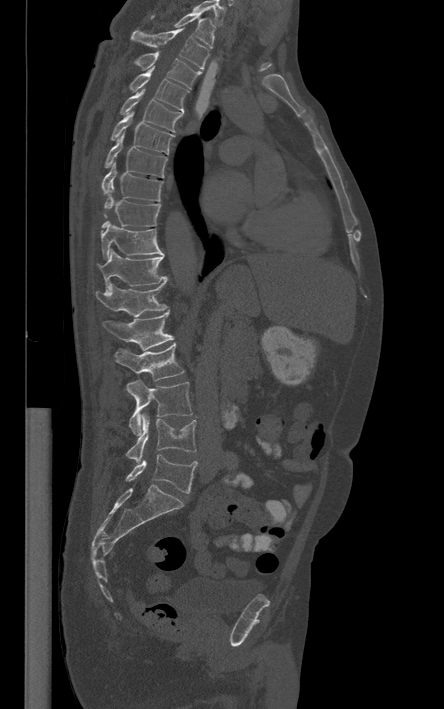
Computed tomography of the spine · sagittal view · bone-window reconstruction

The highest labeled vertebra in this scan is T1; the lowest is L5.
<vertebrae><v name="T1" x1="151" y1="13" x2="214" y2="48"/><v name="T2" x1="130" y1="28" x2="209" y2="69"/><v name="T3" x1="124" y1="51" x2="200" y2="87"/><v name="T4" x1="130" y1="66" x2="188" y2="112"/><v name="T5" x1="120" y1="88" x2="182" y2="132"/><v name="T6" x1="110" y1="111" x2="174" y2="154"/><v name="T7" x1="106" y1="130" x2="167" y2="177"/><v name="T8" x1="102" y1="161" x2="162" y2="201"/><v name="T9" x1="102" y1="193" x2="160" y2="228"/><v name="T10" x1="101" y1="221" x2="164" y2="259"/><v name="T11" x1="97" y1="250" x2="168" y2="292"/><v name="T12" x1="95" y1="281" x2="166" y2="316"/><v name="L1" x1="103" y1="311" x2="173" y2="350"/><v name="L2" x1="114" y1="343" x2="183" y2="380"/><v name="L3" x1="126" y1="380" x2="192" y2="435"/><v name="L4" x1="126" y1="413" x2="196" y2="463"/><v name="L5" x1="126" y1="454" x2="197" y2="493"/></vertebrae>